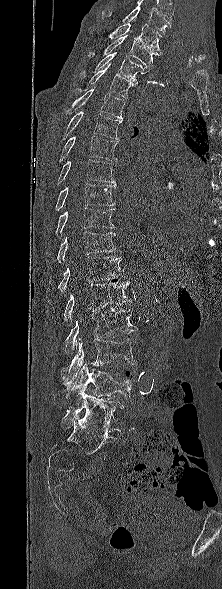
Spine CT · sagittal view · 222x589 px · 222 mm image width
Boxes: x1 y1 x2 y2 (pixel coords, space-separated). Labels in this scan begin with T1 at the top and end with L5 at the bottom. The labeled vertebrae in this slice are: T1 at 108 23 161 53, T2 at 87 35 159 68, T3 at 92 52 148 83, T4 at 84 64 137 98, T5 at 65 89 125 120, T6 at 62 112 122 140, T7 at 59 136 117 162, T8 at 57 159 115 185, T9 at 55 183 115 211, T10 at 55 207 115 237, T11 at 57 231 117 263, T12 at 58 257 123 293, L1 at 63 281 131 325, L2 at 63 308 137 355, L3 at 61 338 136 384, L4 at 65 363 136 405, L5 at 61 394 123 431.